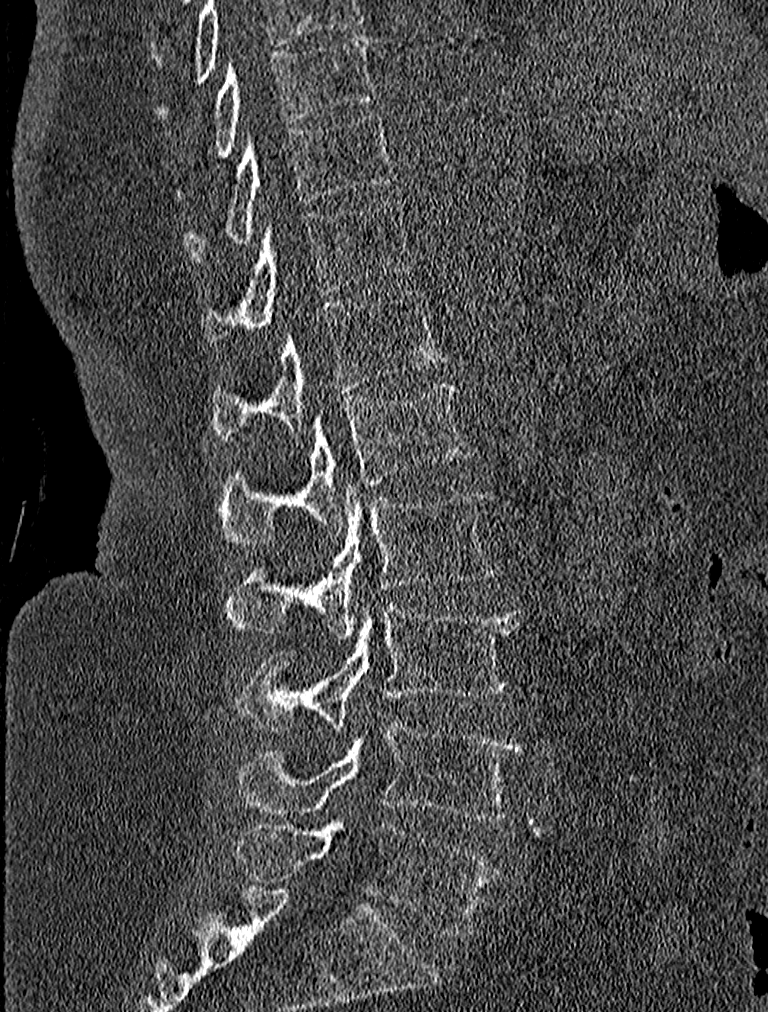 Spine CT · sagittal view
<vertebrae><v name="T9" x1="212" y1="33" x2="373" y2="159"/><v name="T10" x1="185" y1="111" x2="397" y2="262"/><v name="T11" x1="202" y1="199" x2="411" y2="345"/><v name="T12" x1="212" y1="288" x2="448" y2="442"/><v name="L1" x1="219" y1="382" x2="468" y2="546"/><v name="L2" x1="225" y1="481" x2="495" y2="637"/><v name="L3" x1="236" y1="597" x2="519" y2="731"/><v name="L4" x1="236" y1="722" x2="522" y2="820"/><v name="L5" x1="236" y1="821" x2="499" y2="935"/></vertebrae>